Computed tomography of the spine. sagittal view. Bone window (WL 400, WW 1800). 512x943 px
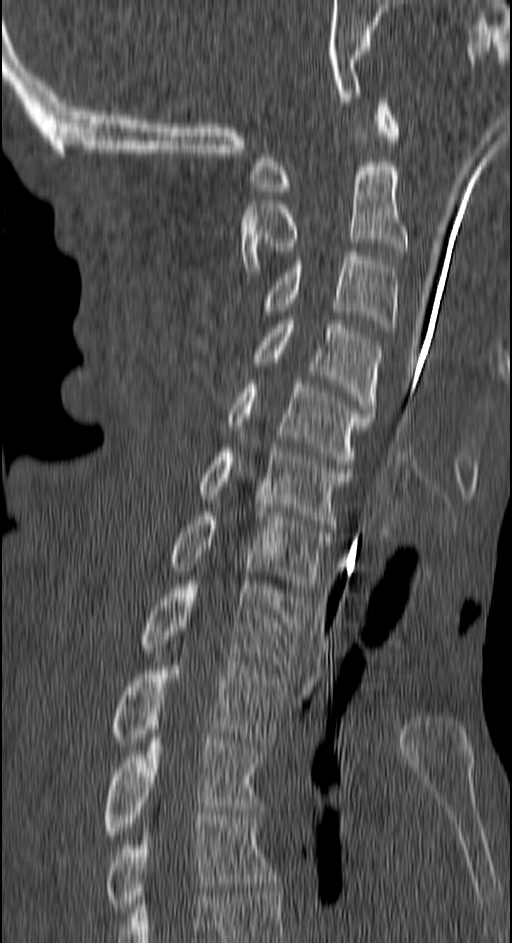
Each box given as x1,y1,x2,y2. The labeled vertebrae in this slice are: T4 at x1=104, y1=815, x2=277, y2=916, T3 at x1=100, y1=734, x2=260, y2=840, T2 at x1=107, y1=649, x2=288, y2=746, T1 at x1=138, y1=580, x2=305, y2=669, C7 at x1=168, y1=508, x2=331, y2=592, C6 at x1=199, y1=448, x2=352, y2=528, C5 at x1=226, y1=380, x2=373, y2=464, C4 at x1=250, y1=320, x2=383, y2=413, C3 at x1=257, y1=252, x2=396, y2=328, C2 at x1=240, y1=166, x2=406, y2=272, C1 at x1=253, y1=98, x2=400, y2=195.